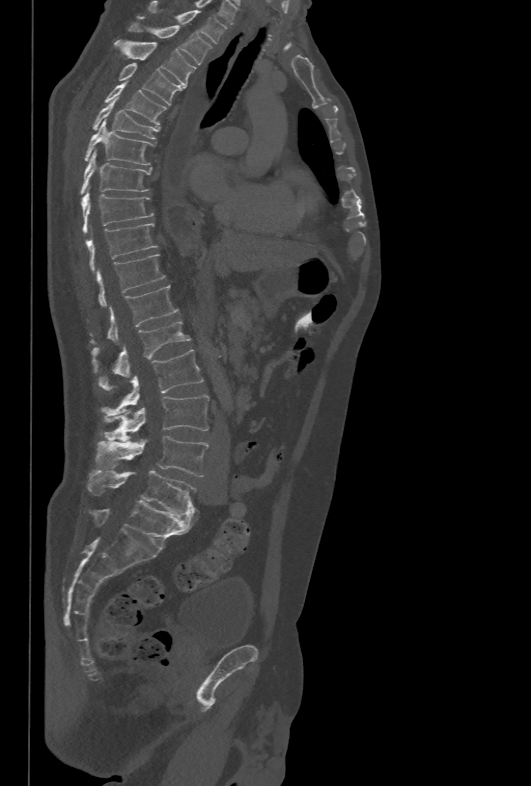

Computed tomography of the spine · sagittal view · bone-window reconstruction · the image spans 478 mm across

Each box given as x1,y1,x2,y2. Vertebrae labeled: T1 at x1=148, y1=1, x2=224, y2=43, T2 at x1=129, y1=23, x2=212, y2=64, T3 at x1=113, y1=39, x2=196, y2=86, T4 at x1=118, y1=63, x2=185, y2=104, T5 at x1=105, y1=83, x2=167, y2=125, T6 at x1=92, y1=98, x2=160, y2=138, T7 at x1=83, y1=119, x2=154, y2=164, T8 at x1=80, y1=152, x2=151, y2=195, T9 at x1=81, y1=192, x2=154, y2=234, T10 at x1=85, y1=223, x2=158, y2=273, T11 at x1=96, y1=254, x2=166, y2=306, T12 at x1=90, y1=285, x2=178, y2=344, L1 at x1=91, y1=320, x2=191, y2=389, L2 at x1=101, y1=349, x2=203, y2=414, L3 at x1=100, y1=395, x2=209, y2=439, L4 at x1=98, y1=436, x2=209, y2=476, L5 at x1=87, y1=469, x2=196, y2=515.